Spine computed tomography · sagittal view · 365 mm wide
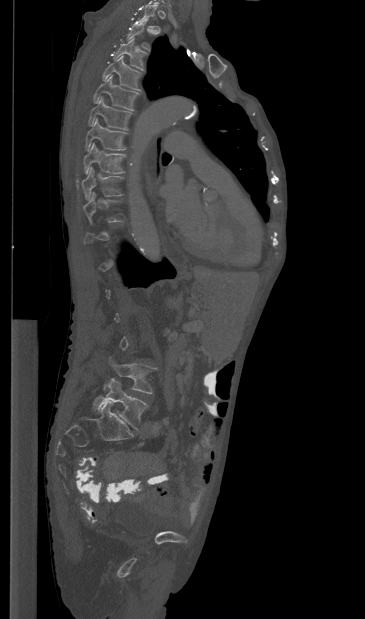
Each box is [x1, y1, x2, y2] in pixels: top-left corner, then bottom-right corner.
Not every vertebra on this slice has a box: a vertebra is boxed only from the first to the last slice where its cross-section is at least a third of its largest, and this slice is outside that range for at least one of them.
{"vertebrae":{"T3":[113,38,147,70],"T4":[102,55,141,90],"T5":[93,75,138,110],"T6":[88,97,131,129],"T7":[85,118,127,150],"T8":[83,143,125,174],"T9":[81,167,122,200],"L4":[104,358,155,393],"L5":[92,378,147,429]}}